CT; sagittal plane, index 231; image 140 mm wide
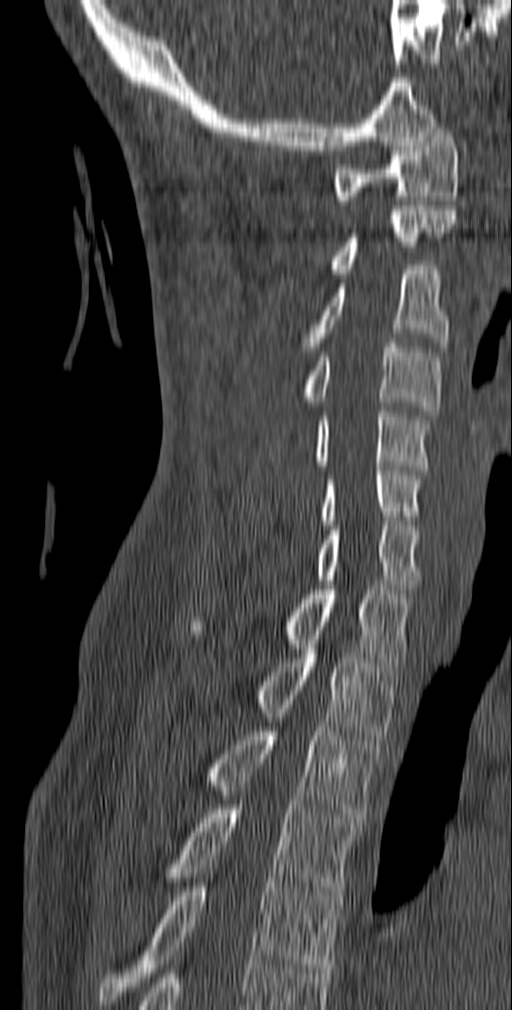

Boxes below are [x1, y1, x2, y2] in pixels.
{"vertebrae":{"C1":[333,128,459,205],"C2":[330,206,456,273],"C3":[301,265,449,351],"C4":[294,338,441,415],"C5":[312,407,432,474],"C6":[320,466,425,525],"C7":[316,521,421,593],"T1":[191,585,414,666],"T2":[254,649,398,740],"T3":[202,727,381,822],"T4":[159,805,359,900],"T5":[98,878,340,1005]}}